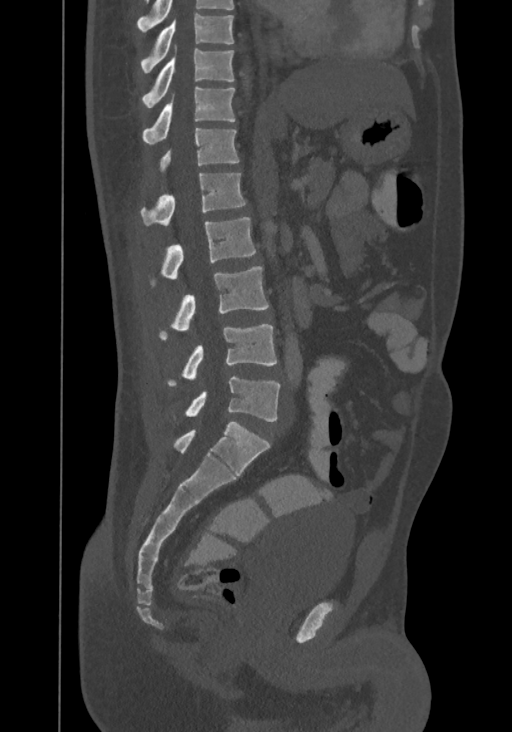
Computed tomography of the spine · sagittal view · image 367 mm wide · W/L 1800/400 HU
Box values are [left, top, right, bottom] in pixels.
This scan's labels start at T8 at the top and end at L4 at the bottom.
{"vertebrae":{"L4":[185,377,279,421],"L3":[169,325,276,386],"L2":[160,266,268,338],"L1":[162,217,255,279],"T12":[141,173,246,225],"T11":[159,128,239,176],"T10":[142,87,235,143],"T9":[142,46,235,107],"T8":[141,14,233,73]}}